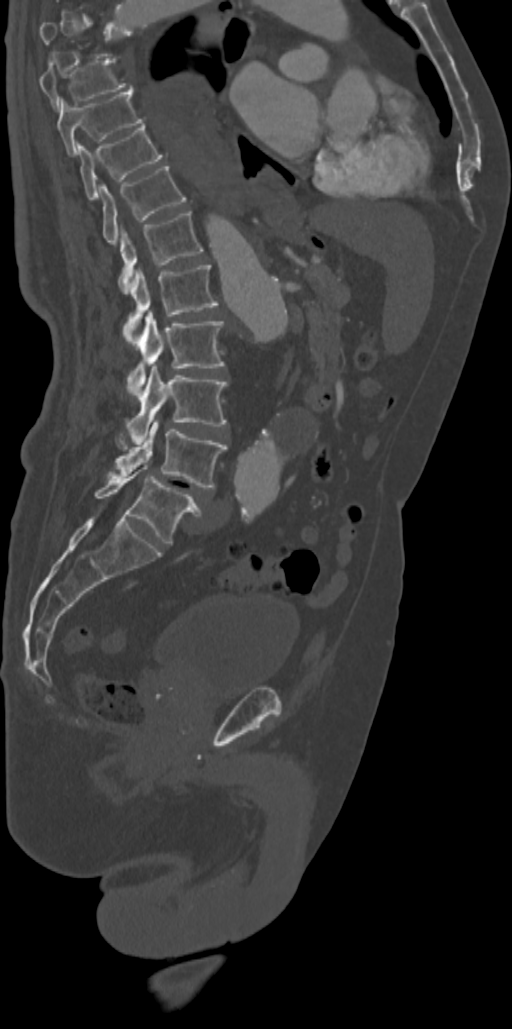 CT. sagittal view. bone-window reconstruction. 512x1029 px
Each vertebra is boxed only on the slices from the first to the last where its cross-section reaches a third of its largest, so a slice outside that range leaves it unboxed.
<vertebrae><v name="T8" x1="40" y1="58" x2="135" y2="109"/><v name="T9" x1="57" y1="90" x2="143" y2="156"/><v name="T10" x1="75" y1="124" x2="165" y2="201"/><v name="T11" x1="99" y1="166" x2="186" y2="244"/><v name="T12" x1="118" y1="211" x2="202" y2="293"/><v name="L1" x1="123" y1="265" x2="217" y2="345"/><v name="L2" x1="127" y1="310" x2="225" y2="397"/><v name="L3" x1="126" y1="364" x2="228" y2="444"/><v name="L4" x1="109" y1="420" x2="226" y2="489"/><v name="L5" x1="94" y1="465" x2="201" y2="543"/></vertebrae>